Spine computed tomography · sagittal view · the image spans 384 mm across · bone window · scan covers 16 annotated vertebrae
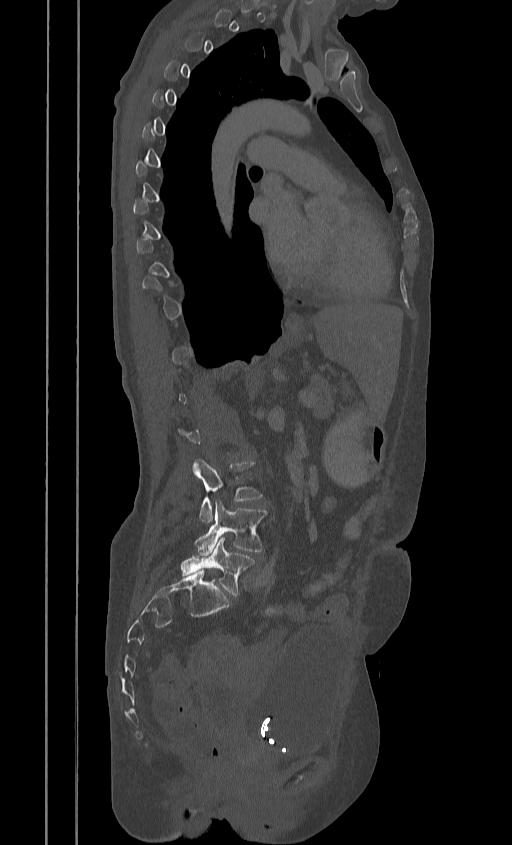
Boxes: x1 y1 x2 y2 (pixel coords, space-separated). A vertebra gets a box only on the slices from the first to the last where its cross-section is at least a third of its largest; on a slice outside that range it gets none. Vertebrae labeled: L5 at 181 536 255 595, L4 at 194 500 267 555, L3 at 193 459 261 522.